Spine computed tomography · sagittal view · 333 mm image width · bone window · 555x689 px
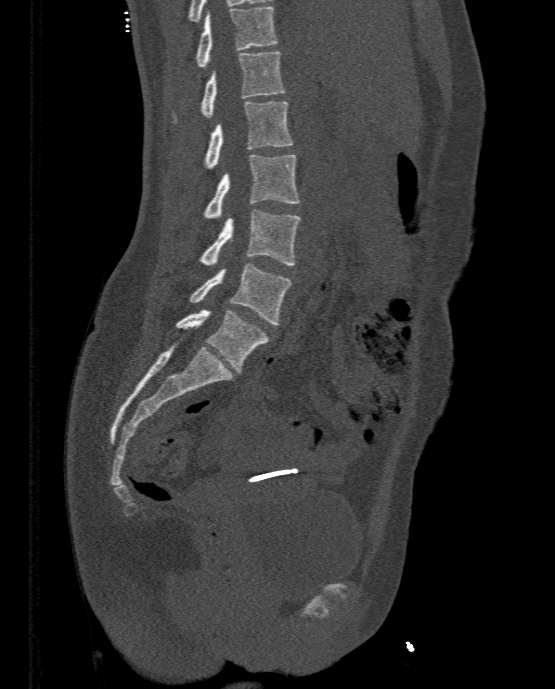

Coordinates as <box>x1,y1,x2,y2</box>.
Vertebra bounding boxes:
- T11: <box>196,6,276,67</box>
- T12: <box>173,51,285,121</box>
- L1: <box>205,101,292,168</box>
- L2: <box>203,154,298,218</box>
- L3: <box>199,210,300,265</box>
- L4: <box>190,263,291,324</box>
- L5: <box>176,309,269,372</box>